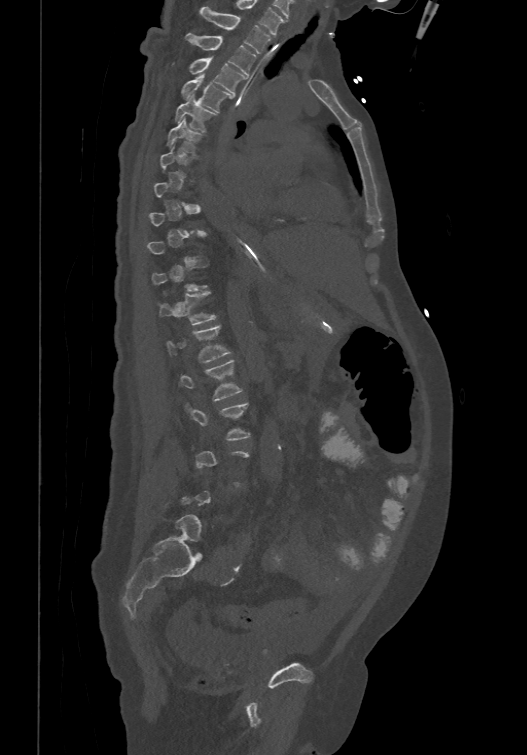 Spine CT. image 474 mm wide. sagittal view. Bone window (WL 400, WW 1800). 527x755 px
Each vertebra is boxed only on the slices from the first to the last where its cross-section reaches a third of its largest, so a slice outside that range leaves it unboxed.
<vertebrae><v name="T1" x1="200" y1="6" x2="271" y2="53"/><v name="T2" x1="185" y1="32" x2="255" y2="74"/><v name="T3" x1="189" y1="56" x2="244" y2="92"/><v name="T4" x1="181" y1="73" x2="233" y2="111"/><v name="T5" x1="175" y1="93" x2="217" y2="131"/><v name="T6" x1="167" y1="117" x2="203" y2="154"/><v name="T12" x1="156" y1="291" x2="217" y2="324"/><v name="L1" x1="166" y1="324" x2="231" y2="362"/><v name="L2" x1="180" y1="358" x2="243" y2="401"/><v name="L3" x1="185" y1="403" x2="250" y2="440"/></vertebrae>